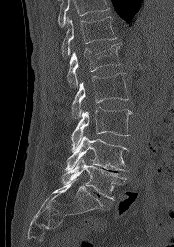

CT, spine; image width 174 mm; sagittal view; bone-window reconstruction
Boxes below are [x1, y1, x2, y2] in pixels.
No box is given to a vertebra that the top edge of the scan cuts off.
{"vertebrae":{"L5":[61,158,126,200],"L4":[66,135,128,170],"L3":[71,107,131,150],"L2":[71,73,129,118],"L1":[67,44,121,87],"T12":[61,17,117,57]}}